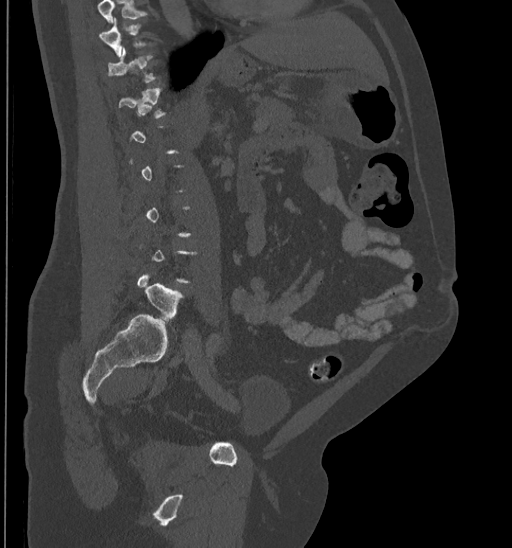
CT spine — sagittal view — Bone window (WL 400, WW 1800) — 512x548 px
Boxes: x1:y1:x2:y2 in pixels. Not every vertebra on this slice has a box: a vertebra is boxed only from the first to the last slice where its cross-section is at least a third of its largest, and this slice is outside that range for at least one of them. No box is given to a vertebra that the top edge of the scan cuts off. Vertebrae labeled: T10 at 99:17:153:56, T11 at 108:48:159:82, L5 at 138:273:184:320.